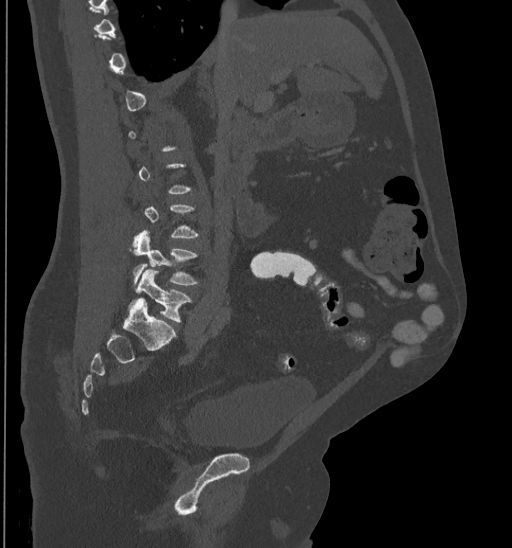
CT spine · sagittal view · bone window

Boxes: x1:y1:x2:y2 in pixels.
A vertebra is boxed only from the first to the last slice where its cross-section is at least a third of its largest; slices outside that range leave it without a box.
L4: 132:231:197:284
L5: 135:269:191:322